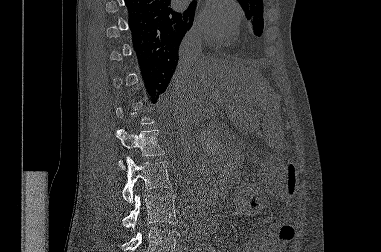
CT, spine — sagittal view — 381 mm across the image

Each box given as x1,y1,x2,y2.
A vertebra is boxed only from the first to the last slice where its cross-section is at least a third of its largest; slices outside that range leave it without a box.
A vertebra cut off by the bottom edge of the scan is not labeled and has no box.
Vertebra bounding boxes:
- L1: x1=115, y1=128, x2=164, y2=169
- L2: x1=122, y1=156, x2=171, y2=202
- L3: x1=122, y1=194, x2=177, y2=230